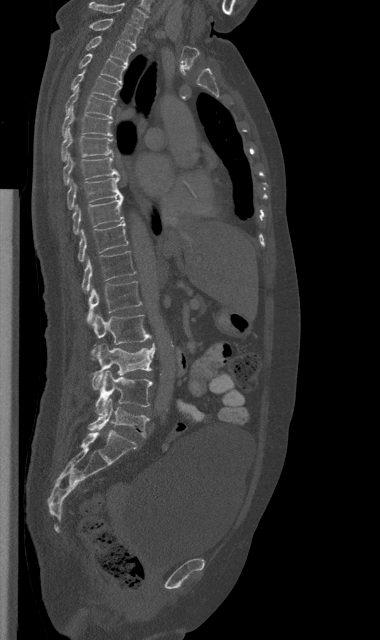
Computed tomography of the spine · sagittal view
Each box given as x1,y1,x2,y2.
Vertebra bounding boxes:
- L5: x1=88, y1=398, x2=149, y2=437
- L4: x1=96, y1=370, x2=152, y2=414
- L3: x1=90, y1=343, x2=154, y2=389
- L2: x1=91, y1=314, x2=151, y2=358
- L1: x1=87, y1=281, x2=141, y2=325
- T12: x1=81, y1=251, x2=135, y2=291
- T11: x1=78, y1=222, x2=128, y2=261
- T10: x1=72, y1=198, x2=124, y2=234
- T9: x1=67, y1=176, x2=123, y2=209
- T8: x1=63, y1=153, x2=119, y2=184
- T7: x1=61, y1=127, x2=113, y2=160
- T6: x1=62, y1=108, x2=112, y2=137
- T5: x1=65, y1=88, x2=114, y2=118
- T4: x1=71, y1=70, x2=121, y2=100
- T3: x1=78, y1=53, x2=127, y2=84
- T2: x1=86, y1=35, x2=134, y2=65
- T1: x1=89, y1=18, x2=138, y2=46
- C7: x1=88, y1=2, x2=145, y2=28